Computed tomography of the spine. sagittal view. bone window. 157x266 px. scan covers 8 annotated vertebrae. image 157 mm wide. part of the image has been replaced by a constant value
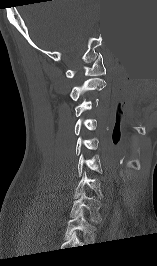 Box values are [left, top, right, bottom] in pixels.
The highest labeled vertebra in this scan is C1; the lowest is T1.
{"vertebrae":{"C1":[66,53,105,77],"C2":[70,78,105,101],"C3":[75,99,98,116],"C4":[74,118,96,135],"C5":[76,136,98,155],"C6":[78,154,102,176],"C7":[74,171,102,198],"T1":[70,191,101,221]}}